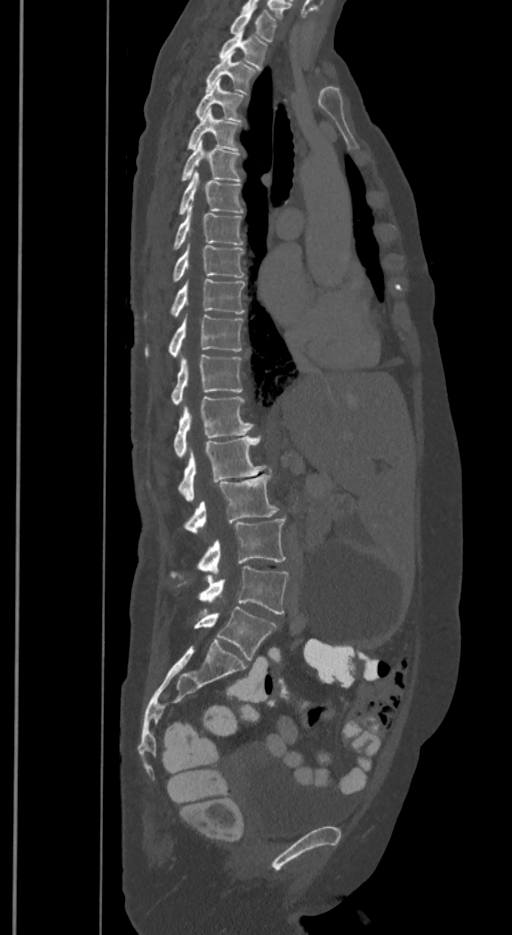

Computed tomography of the spine · 350 mm image width · sagittal reformat · bone-window reconstruction
In the table, x1 and y1 are a box's top-left corner and x2 and y2 its bottom-right corner, in pixels.
These labels give the spine a sixth lumbar vertebra, L6, below L5.
| vertebra | x1 | y1 | x2 | y2 |
|---|---|---|---|---|
| L6 | 194 | 606 | 275 | 660 |
| L5 | 199 | 566 | 288 | 614 |
| L4 | 172 | 517 | 285 | 576 |
| L3 | 184 | 474 | 278 | 535 |
| L2 | 178 | 436 | 266 | 502 |
| L1 | 174 | 396 | 253 | 457 |
| T12 | 171 | 354 | 242 | 405 |
| T11 | 145 | 315 | 243 | 357 |
| T10 | 171 | 279 | 245 | 316 |
| T9 | 174 | 244 | 243 | 282 |
| T8 | 174 | 204 | 242 | 248 |
| T7 | 180 | 171 | 243 | 216 |
| T6 | 183 | 141 | 240 | 181 |
| T5 | 188 | 109 | 237 | 150 |
| T4 | 196 | 80 | 242 | 119 |
| T3 | 206 | 53 | 253 | 92 |
| T2 | 219 | 29 | 266 | 67 |
| T1 | 231 | 9 | 275 | 41 |